Spine computed tomography · sagittal plane, index 228 · Bone window (WL 400, WW 1800) · the image spans 160 mm across
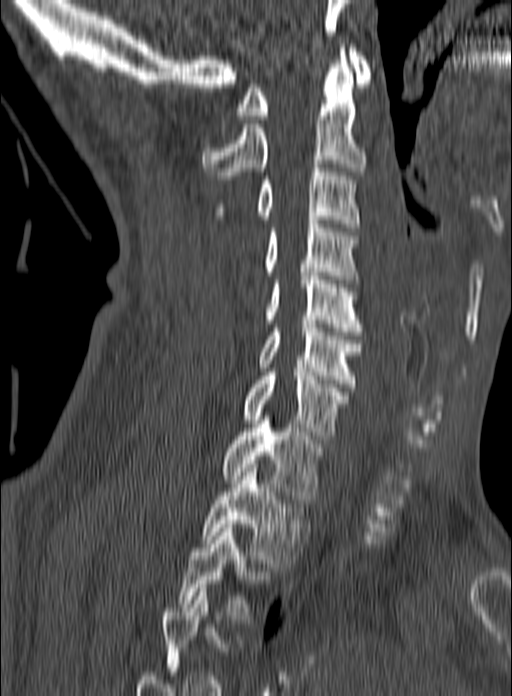
Each box given as x1,y1,x2,y2.
In this scan, the topmost labeled vertebra is C1 and the lowest is T3.
Vertebra bounding boxes:
- C1: x1=235, y1=48, x2=371, y2=119
- C2: x1=202, y1=44, x2=365, y2=179
- C3: x1=214, y1=164, x2=360, y2=227
- C4: x1=264, y1=220, x2=361, y2=283
- C5: x1=265, y1=272, x2=365, y2=335
- C6: x1=257, y1=320, x2=362, y2=387
- C7: x1=241, y1=368, x2=349, y2=439
- T1: x1=219, y1=420, x2=324, y2=503
- T2: x1=200, y1=464, x2=307, y2=567
- T3: x1=177, y1=524, x2=263, y2=619